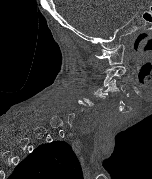 CT, spine — the image is 152 mm wide — sagittal reformat — 152x179 px
Not every vertebra on this slice has a box: a vertebra is boxed only from the first to the last slice where its cross-section is at least a third of its largest, and this slice is outside that range for at least one of them.
<vertebrae><v name="C1" x1="95" y1="44" x2="124" y2="65"/><v name="C2" x1="104" y1="66" x2="126" y2="86"/><v name="C3" x1="104" y1="79" x2="125" y2="92"/></vertebrae>